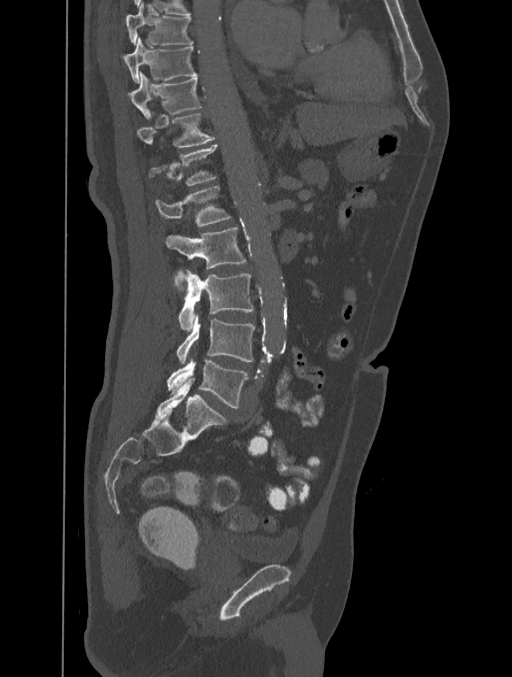
Computed tomography of the spine; sagittal view; bone-window reconstruction
<vertebrae><v name="T8" x1="126" y1="3" x2="193" y2="45"/><v name="T9" x1="124" y1="37" x2="197" y2="82"/><v name="T10" x1="129" y1="72" x2="202" y2="120"/><v name="T11" x1="136" y1="113" x2="215" y2="147"/><v name="T12" x1="149" y1="145" x2="217" y2="185"/><v name="L1" x1="154" y1="185" x2="231" y2="227"/><v name="L2" x1="166" y1="228" x2="247" y2="289"/><v name="L3" x1="179" y1="270" x2="253" y2="330"/><v name="L4" x1="176" y1="316" x2="254" y2="363"/><v name="L5" x1="167" y1="360" x2="248" y2="408"/></vertebrae>